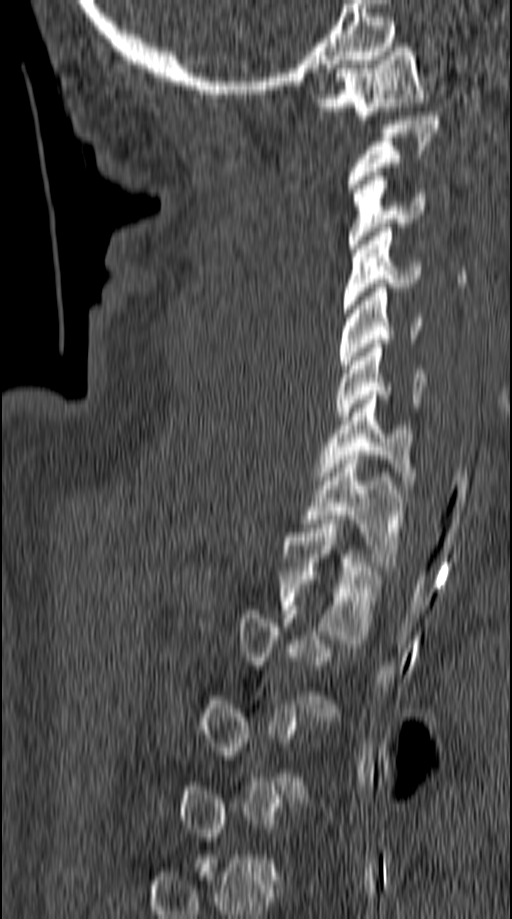
CT spine. sagittal reformat
Columns x1, y1, x2, y2 give each box's top-left and bottom-right pixels.
Each vertebra is boxed only on the slices from the first to the last where its cross-section reaches a third of its largest, so a slice outside that range leaves it unboxed.
| vertebra | x1 | y1 | x2 | y2 |
|---|---|---|---|---|
| C1 | 312 | 43 | 425 | 119 |
| C2 | 348 | 112 | 440 | 192 |
| C3 | 348 | 172 | 425 | 252 |
| C4 | 344 | 223 | 420 | 313 |
| C5 | 338 | 283 | 423 | 368 |
| C6 | 335 | 344 | 426 | 420 |
| C7 | 317 | 391 | 413 | 480 |
| T1 | 302 | 451 | 404 | 566 |
| T2 | 280 | 524 | 378 | 639 |